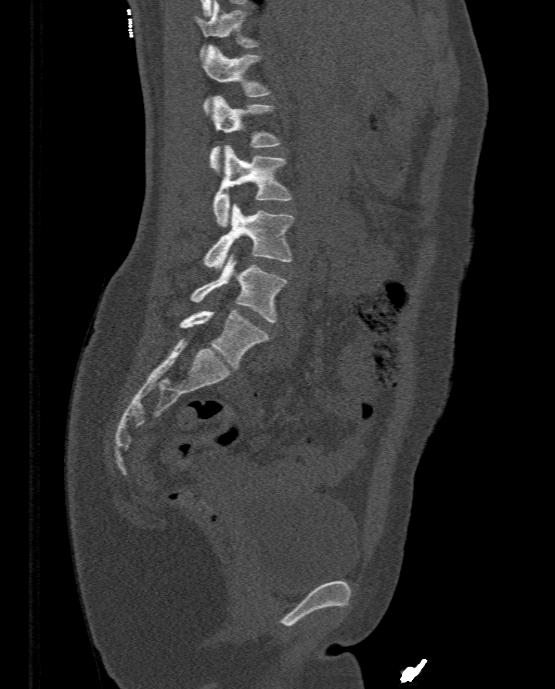 CT, spine. sagittal view
<vertebrae><v name="L5" x1="179" y1="310" x2="269" y2="369"/><v name="L4" x1="190" y1="253" x2="287" y2="322"/><v name="L3" x1="203" y1="203" x2="294" y2="268"/><v name="L2" x1="214" y1="145" x2="292" y2="226"/><v name="L1" x1="209" y1="96" x2="281" y2="172"/><v name="T12" x1="203" y1="45" x2="270" y2="115"/><v name="T11" x1="194" y1="1" x2="259" y2="59"/></vertebrae>